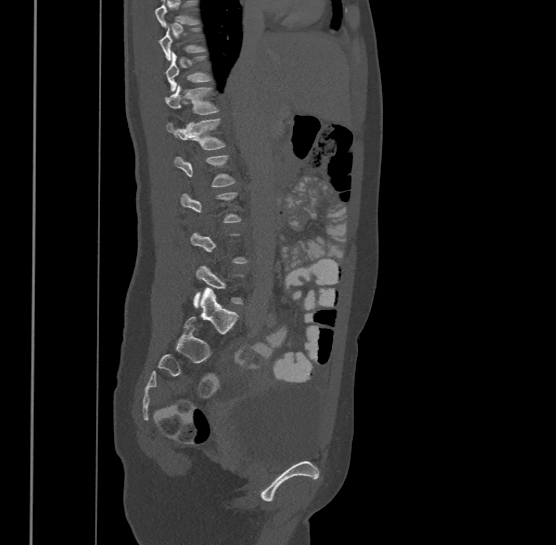

Computed tomography of the spine; sagittal reformat. Boxes are (x1, y1, x2, y2) in pixels. Not every vertebra on this slice has a box: a vertebra is boxed only from the first to the last slice where its cross-section is at least a third of its largest, and this slice is outside that range for at least one of them. 4 vertebrae labeled — T10 at (165, 52, 210, 90); T11 at (165, 84, 218, 115); T12 at (166, 117, 225, 149); L1 at (175, 154, 234, 186).